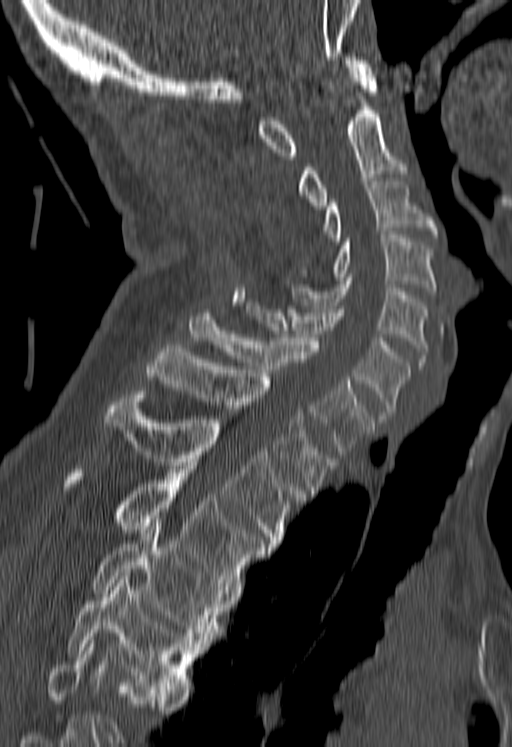
CT; sagittal view; 512x747 px
Columns x1, y1, x2, y2 give each box's top-left and bottom-right pixels.
No box is given to a vertebra that the bottom edge of the scan cuts off.
| vertebra | x1 | y1 | x2 | y2 |
|---|---|---|---|---|
| C1 | 259 | 53 | 377 | 159 |
| C2 | 297 | 85 | 407 | 209 |
| C3 | 322 | 181 | 438 | 241 |
| C4 | 298 | 235 | 435 | 294 |
| C5 | 285 | 277 | 427 | 365 |
| C6 | 245 | 302 | 410 | 419 |
| C7 | 189 | 309 | 373 | 454 |
| T1 | 146 | 345 | 336 | 493 |
| T2 | 104 | 391 | 304 | 547 |
| T3 | 69 | 469 | 270 | 589 |
| T4 | 93 | 526 | 222 | 643 |
| T5 | 68 | 572 | 199 | 696 |